Spine computed tomography · Sagittal slice 24/38 · 7 vertebrae labeled in this scan
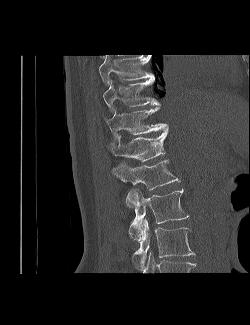

Boxes below are [x1, y1, x2, y2] in pixels.
In this scan, the topmost labeled vertebra is T9 and the lowest is L3.
{"vertebrae":{"L3":[132,218,195,267],"L2":[128,189,188,240],"L1":[113,159,179,207],"T12":[106,130,168,161],"T11":[104,106,168,142],"T10":[103,77,160,111],"T9":[98,55,154,85]}}